Computed tomography of the spine · image width 397 mm · sagittal plane, index 229 · 9 vertebrae labeled in this scan
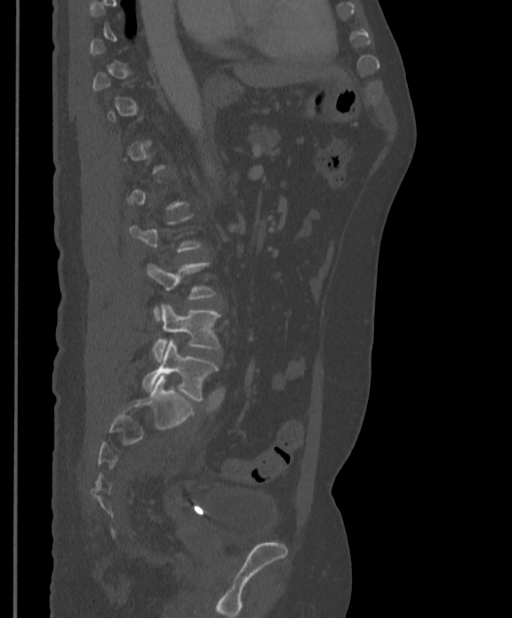

Each box is [x1, y1, x2, y2] in pixels: top-left corner, then bottom-right corner.
Each vertebra is boxed only on the slices from the first to the last where its cross-section reaches a third of its largest, so a slice outside that range leaves it unboxed.
{"vertebrae":{"L4":[152,304,219,361],"L5":[142,339,217,400]}}